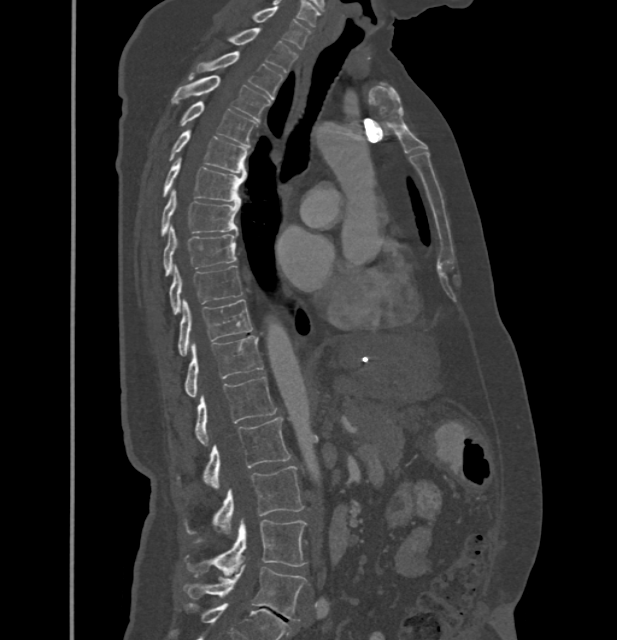
Spine CT · sagittal view · W/L 1800/400 HU · the image is 432 mm wide. Box edges are left/top/right/bottom in pixels.
In these labels the spine has no T12: the thoracic vertebrae end at T11, and L1 comes next.
Vertebra bounding boxes:
- L5: left=184, top=563, right=306, bottom=621
- L4: left=188, top=519, right=306, bottom=575
- L3: left=215, top=466, right=303, bottom=534
- L2: left=204, top=417, right=291, bottom=489
- L1: left=195, top=376, right=276, bottom=445
- T11: left=186, top=336, right=263, bottom=396
- T10: left=178, top=299, right=252, bottom=356
- T9: left=170, top=266, right=241, bottom=314
- T8: left=164, top=225, right=236, bottom=275
- T7: left=162, top=189, right=240, bottom=235
- T6: left=163, top=157, right=245, bottom=202
- T5: left=170, top=130, right=247, bottom=172
- T4: left=181, top=102, right=257, bottom=146
- T3: left=171, top=75, right=269, bottom=121
- T2: left=195, top=52, right=282, bottom=98
- T1: left=225, top=27, right=298, bottom=72
- C7: left=251, top=7, right=310, bottom=49